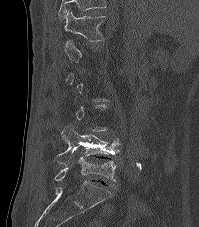

CT, spine; sagittal view; 199 mm across the image; bone window; 199x227 px

Each vertebra is boxed only on the slices from the first to the last where its cross-section reaches a third of its largest, so a slice outside that range leaves it unboxed.
The highest labeled vertebra in this scan is T12; the lowest is L5.
<vertebrae><v name="T12" x1="63" y1="10" x2="105" y2="41"/><v name="L4" x1="54" y1="125" x2="119" y2="165"/><v name="L5" x1="43" y1="157" x2="116" y2="181"/></vertebrae>